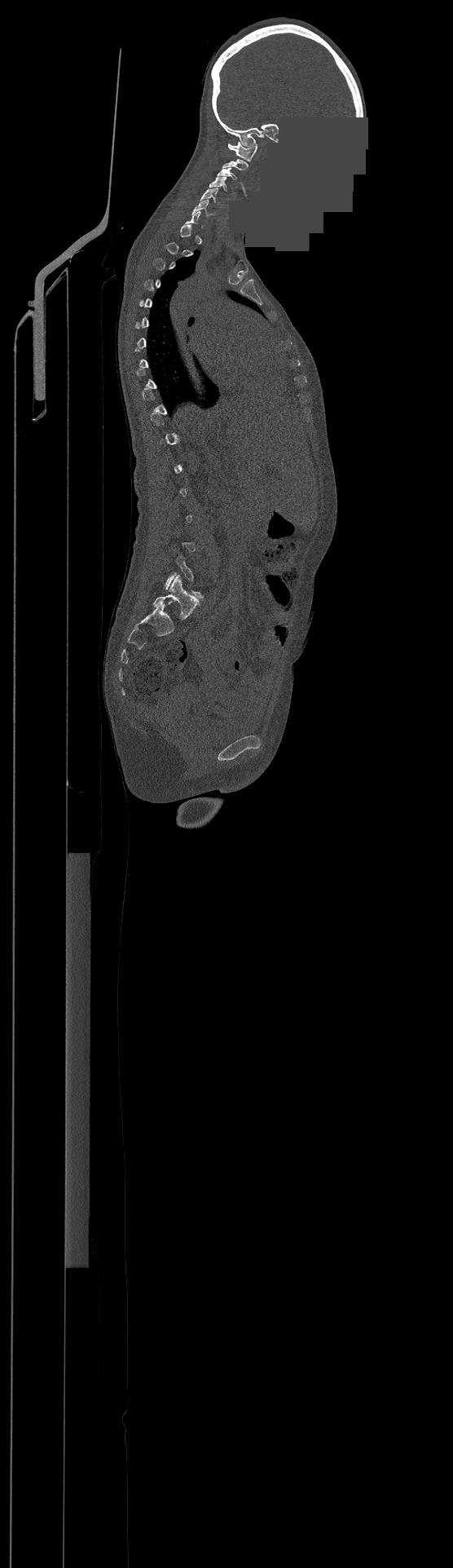
CT — sagittal view — Bone window (WL 400, WW 1800) — some of the image was removed or blocked out with constant pixels
A vertebra gets a box only on the slices from the first to the last where its cross-section is at least a third of its largest; on a slice outside that range it gets none.
<vertebrae><v name="C1" x1="228" y1="142" x2="257" y2="161"/><v name="C2" x1="222" y1="158" x2="248" y2="170"/><v name="C3" x1="218" y1="168" x2="237" y2="179"/><v name="C4" x1="209" y1="177" x2="227" y2="191"/><v name="C5" x1="200" y1="188" x2="219" y2="204"/><v name="C6" x1="193" y1="200" x2="213" y2="216"/></vertebrae>